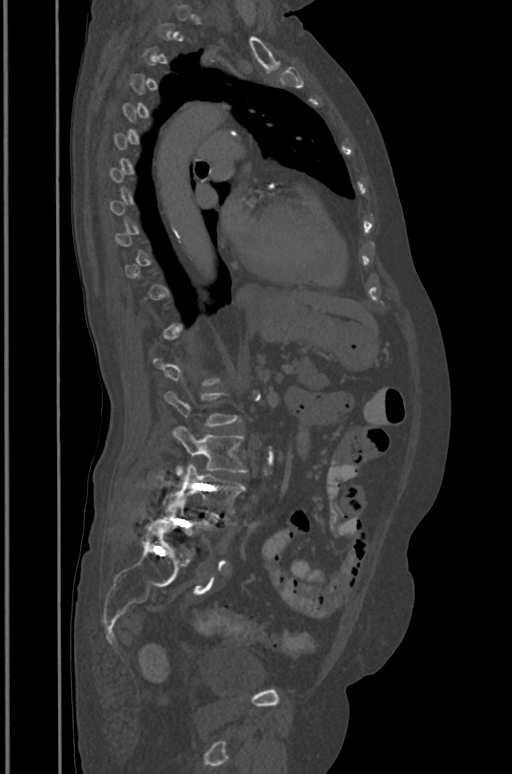 CT — sagittal view — 512x774 px
In the table, x1 and y1 are a box's top-left corner and x2 and y2 its bottom-right corner, in pixels.
A vertebra is boxed only from the first to the last slice where its cross-section is at least a third of its largest; slices outside that range leave it without a box.
| vertebra | x1 | y1 | x2 | y2 |
|---|---|---|---|---|
| L5 | 158 | 495 | 214 | 550 |
| L4 | 164 | 463 | 244 | 518 |
| L3 | 173 | 427 | 247 | 482 |
| L2 | 165 | 391 | 239 | 426 |